CT, spine; sagittal view; image width 140 mm
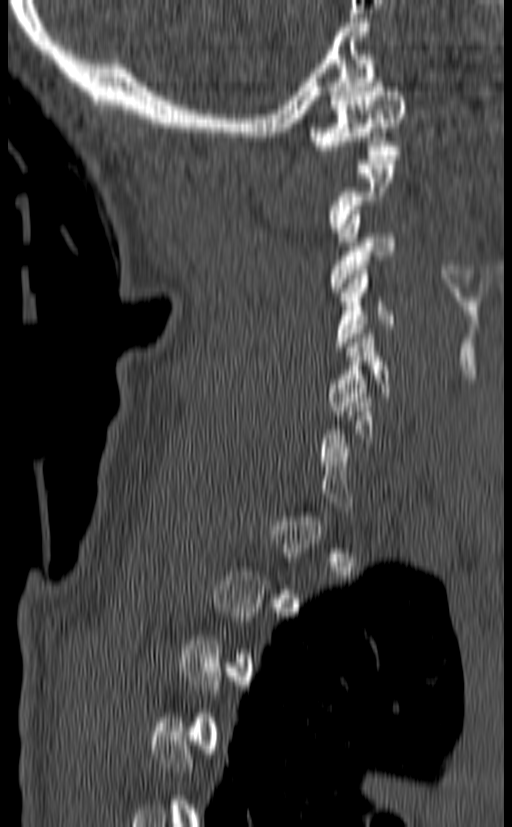
Box edges are left/top/right/bottom in pixels.
Each vertebra is boxed only on the slices from the first to the last where its cross-section reaches a third of its largest, so a slice outside that range leaves it unboxed.
Vertebra bounding boxes:
- C5: left=328, top=329, right=390, bottom=415
- C4: left=333, top=265, right=395, bottom=351
- C3: left=330, top=206, right=395, bottom=292
- C1: left=308, top=78, right=406, bottom=159